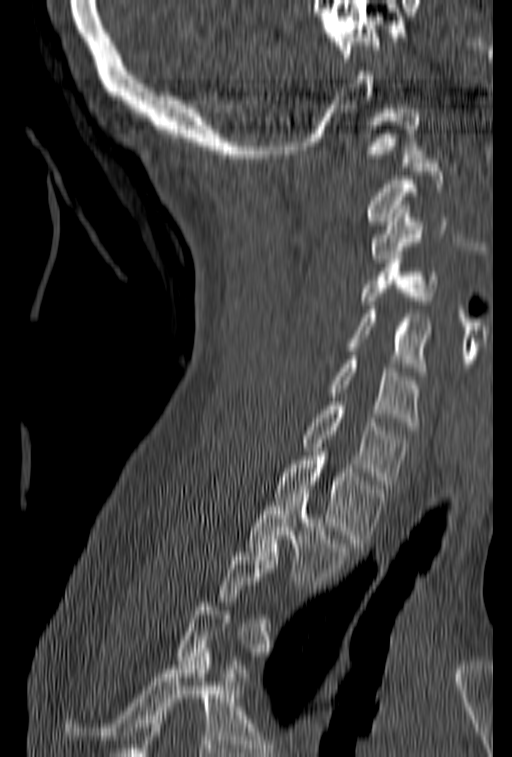

CT, spine · the image is 153 mm wide · sagittal view · W/L 1800/400 HU
Not every vertebra on this slice has a box: a vertebra is boxed only from the first to the last slice where its cross-section is at least a third of its largest, and this slice is outside that range for at least one of them.
<vertebrae><v name="T2" x1="246" y1="489" x2="349" y2="585"/><v name="T1" x1="275" y1="452" x2="388" y2="547"/><v name="C7" x1="302" y1="397" x2="408" y2="488"/><v name="C6" x1="327" y1="351" x2="420" y2="430"/><v name="C5" x1="346" y1="305" x2="432" y2="375"/><v name="C4" x1="360" y1="251" x2="439" y2="304"/><v name="C3" x1="369" y1="205" x2="464" y2="263"/><v name="C1" x1="356" y1="109" x2="424" y2="166"/></vertebrae>